CT spine · sagittal view · Bone window (WL 400, WW 1800)
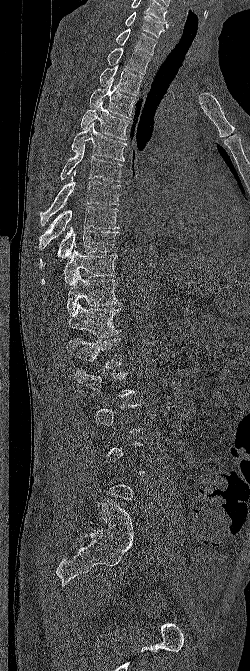
Boxes are (x1, y1, x2, y2) in pixels. A vertebra gets a box only on the slices from the first to the last where its cross-section is at least a third of its largest; on a slice outside that range it gets none. In this scan, the topmost labeled vertebra is C6 and the lowest is L5. The labeled vertebrae in this slice are: C6 at (125, 11, 168, 37), C7 at (115, 28, 157, 55), T1 at (107, 47, 150, 74), T2 at (99, 64, 142, 95), T3 at (89, 80, 136, 119), T4 at (80, 100, 130, 140), T5 at (71, 122, 127, 161), T6 at (60, 143, 122, 182), T7 at (40, 171, 120, 226), T8 at (39, 206, 119, 249), T9 at (39, 227, 119, 268), T10 at (41, 250, 117, 285), T11 at (66, 271, 120, 313), T12 at (67, 303, 121, 337), L1 at (67, 338, 122, 368).